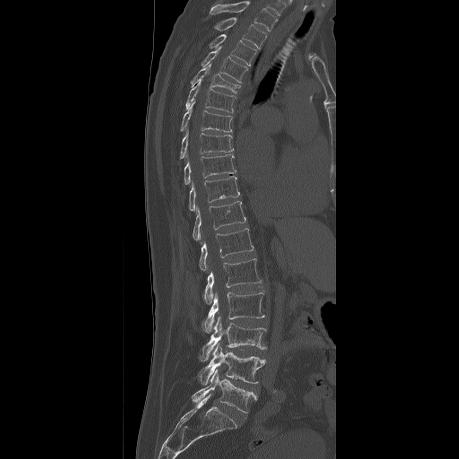

Computed tomography of the spine; 459 mm wide; sagittal view
Bounding boxes as [x1, y1, x2, y2] in pixel coordinates.
In this scan, the topmost labeled vertebra is T2 and the lowest is L5.
T2: [214, 17, 266, 48]
T3: [208, 34, 256, 65]
T4: [200, 46, 248, 83]
T5: [191, 64, 240, 93]
T6: [185, 80, 235, 112]
T7: [180, 102, 232, 131]
T8: [179, 131, 233, 159]
T9: [184, 154, 235, 184]
T10: [188, 176, 239, 211]
T11: [192, 201, 246, 240]
T12: [198, 228, 253, 270]
L1: [204, 259, 261, 303]
L2: [202, 292, 264, 332]
L3: [199, 317, 266, 360]
L4: [198, 344, 265, 384]
L5: [191, 370, 256, 413]